CT, spine — sagittal view — Bone window (WL 400, WW 1800) — image width 311 mm
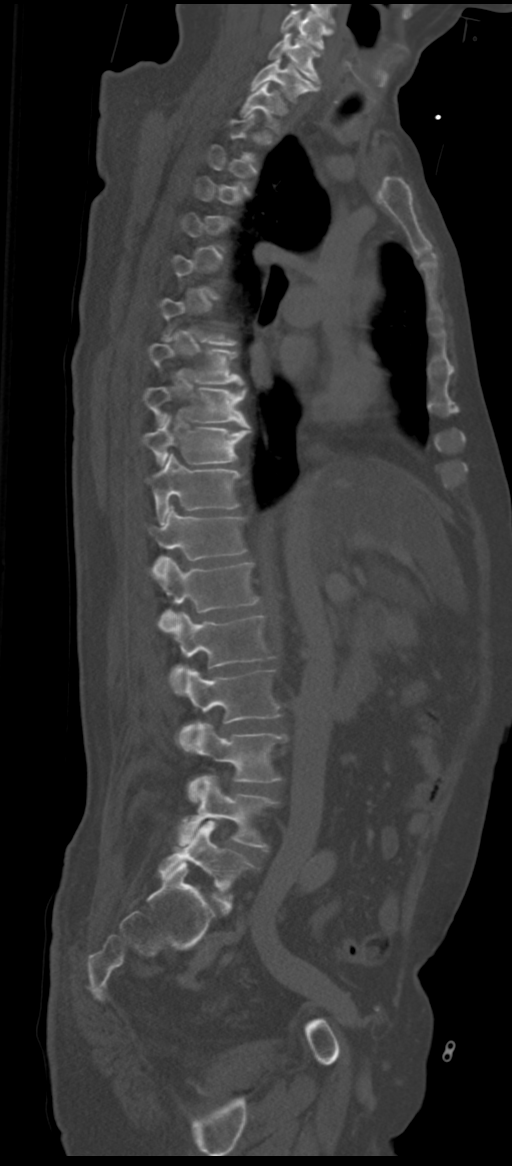

Boxes: x1:y1:x2:y2 in pixels.
Not every vertebra on this slice has a box: a vertebra is boxed only from the first to the last slice where its cross-section is at least a third of its largest, and this slice is outside that range for at least one of them.
The labels name a sixth lumbar vertebra for this spine: L6, after L5.
C5: 280:10:332:49
C6: 269:33:319:82
C7: 251:58:317:101
T1: 242:83:282:129
T8: 148:343:243:385
T9: 144:387:250:428
T10: 142:414:250:465
T11: 148:453:241:523
T12: 148:506:246:572
L1: 158:557:258:630
L2: 170:613:273:694
L3: 178:669:281:750
L4: 180:722:286:801
L5: 178:776:278:849
L6: 158:821:255:893